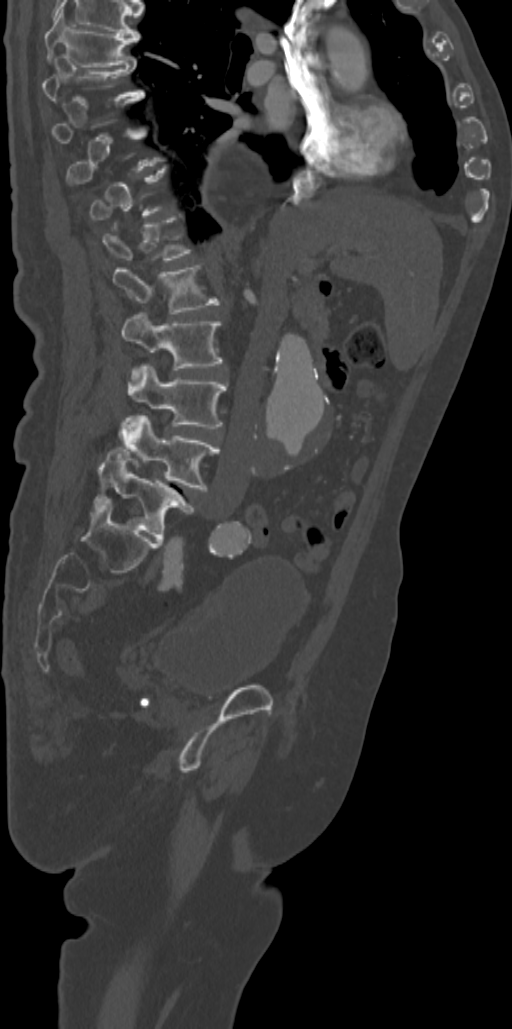 Spine computed tomography; sagittal view

Boxes: x1:y1:x2:y2 in pixels.
Each vertebra is boxed only on the slices from the first to the last where its cross-section reaches a third of its largest, so a slice outside that range leaves it unboxed.
T7: 45:9:140:66
T8: 42:61:143:102
T12: 102:216:192:260
L1: 112:265:220:314
L2: 121:312:222:370
L3: 127:364:226:428
L4: 120:416:219:489
L5: 94:447:193:540